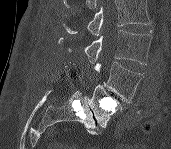 Spine CT; sagittal view
Vertebrae that run past the top of the scan are left unlabeled.
<vertebrae><v name="L3" x1="58" y1="30" x2="152" y2="64"/><v name="L4" x1="94" y1="62" x2="143" y2="102"/><v name="L5" x1="87" y1="85" x2="121" y2="127"/></vertebrae>